Spine CT — sagittal view — the image spans 269 mm across
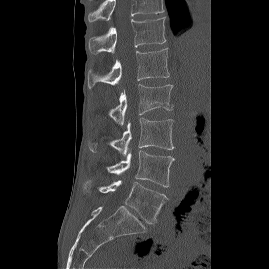

Each row gives a vertebra's box as x1, y1, x2, y2 in pixels: top-left corner, then bottom-right corner.
This scan's labels start at T12 at the top and end at L5 at the bottom.
| vertebra | x1 | y1 | x2 | y2 |
|---|---|---|---|---|
| L5 | 83 | 180 | 167 | 223 |
| L4 | 106 | 150 | 174 | 187 |
| L3 | 89 | 117 | 174 | 156 |
| L2 | 108 | 84 | 172 | 125 |
| L1 | 87 | 48 | 169 | 88 |
| T12 | 88 | 17 | 165 | 54 |